Spine CT. 191 mm across the image. sagittal view. 191x345 px
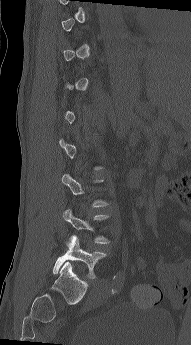

Each box is [x1, y1, x2, y2] in pixels: top-left corner, then bottom-right corner.
Not every vertebra on this slice has a box: a vertebra is boxed only from the first to the last slice where its cross-section is at least a third of its largest, and this slice is outside that range for at least one of them.
{"vertebrae":{"L4":[62,209,110,246],"L5":[53,235,107,279]}}